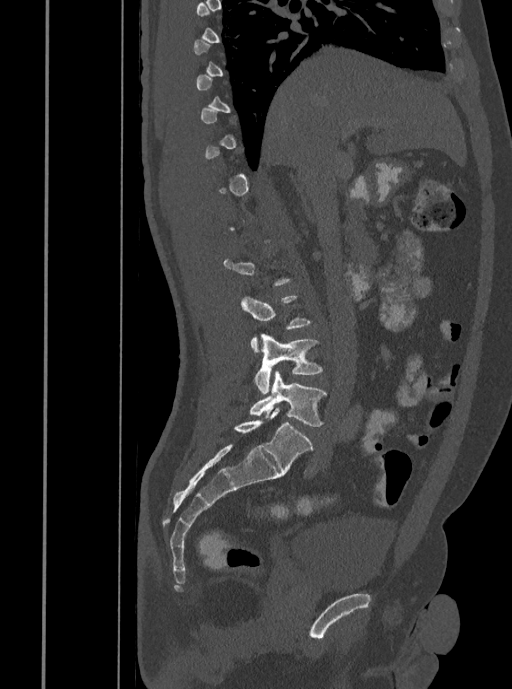

Spine computed tomography — sagittal view — image 408 mm wide — W/L 1800/400 HU — 512x689 px

Each box is [x1, y1, x2, y2] in pixels: top-left corner, then bottom-right corner.
Each vertebra is boxed only on the slices from the first to the last where its cross-section reaches a third of its largest, so a slice outside that range leaves it unboxed.
{"vertebrae":{"L5":[250,372,326,426],"L4":[253,333,323,393],"L3":[241,295,311,351]}}